CT spine · sagittal view · 365 mm wide · Bone window (WL 400, WW 1800)
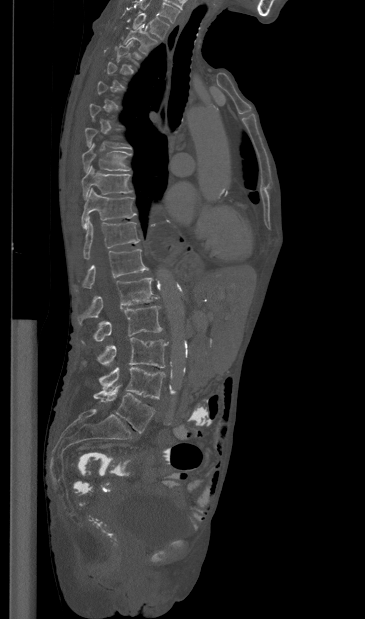 Each box given as x1,y1,x2,y2.
A vertebra is boxed only from the first to the last slice where its cross-section is at least a third of its largest; slices outside that range leave it without a box.
In this scan, the topmost labeled vertebra is T1 and the lowest is L5.
T1: x1=133, y1=13, x2=169, y2=39
T2: x1=124, y1=25, x2=157, y2=53
T8: x1=82, y1=143, x2=130, y2=172
T9: x1=81, y1=165, x2=132, y2=199
T10: x1=81, y1=188, x2=136, y2=229
T11: x1=83, y1=218, x2=139, y2=259
T12: x1=76, y1=249, x2=148, y2=290
L1: x1=78, y1=278, x2=158, y2=323
L2: x1=82, y1=306, x2=162, y2=343
L3: x1=97, y1=337, x2=168, y2=368
L4: x1=99, y1=367, x2=165, y2=399
L5: x1=93, y1=385, x2=154, y2=433